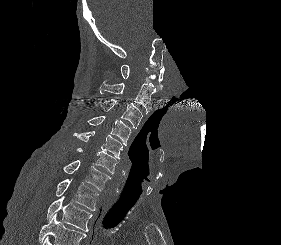

Spine computed tomography — sagittal view — part of the image is constant black where the scan was masked. Box edges are left/top/right/bottom in pixels. Vertebrae that run past the bottom of the scan are left unlabeled. Vertebrae labeled: C1 at left=120, top=65, right=164, bottom=89, C2 at left=100, top=79, right=155, bottom=113, C3 at left=97, top=99, right=142, bottom=128, C4 at left=87, top=116, right=131, bottom=145, C5 at left=73, top=131, right=122, bottom=159, C6 at left=76, top=148, right=119, bottom=174, C7 at left=63, top=160, right=111, bottom=191, T1 at left=55, top=178, right=98, bottom=210, T2 at left=47, top=195, right=92, bottom=231.